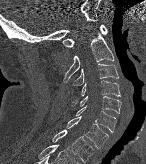
CT, spine — sagittal reformat — image width 146 mm — bone-window reconstruction
Bounding boxes as [x1, y1, x2, y2] in pixel coordinates. 8 vertebrae labeled — T1 at [52, 129, 93, 162]; C7 at [66, 116, 108, 148]; C6 at [76, 105, 116, 132]; C5 at [71, 95, 120, 113]; C4 at [80, 80, 120, 96]; C3 at [73, 63, 118, 85]; C2 at [63, 28, 114, 83]; C1 at [63, 24, 107, 47].